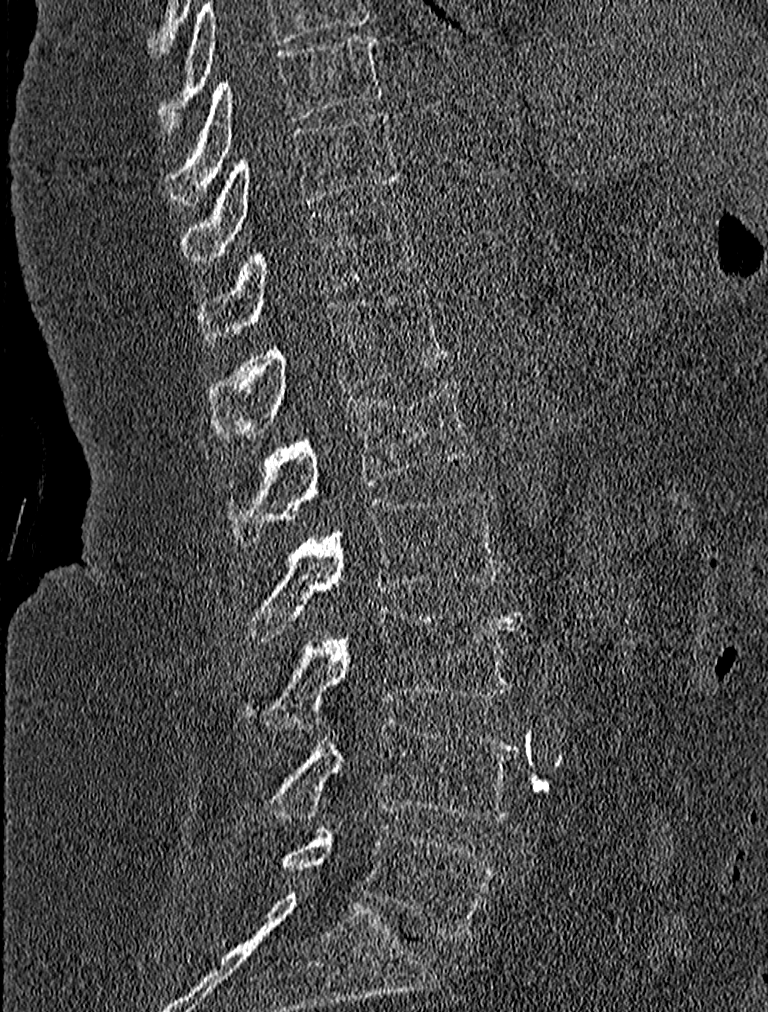

Spine computed tomography — sagittal view — Bone window (WL 400, WW 1800) — 768x1012 px
Boxes below are [x1, y1, x2, y2] in pixels.
{"vertebrae":{"T9":[168,33,384,206],"T10":[182,108,404,259],"T11":[198,199,417,345],"T12":[209,288,448,439],"L1":[225,379,475,546],"L2":[236,490,502,640],"L3":[242,607,522,728],"L4":[263,719,517,823],"L5":[276,827,495,938]}}